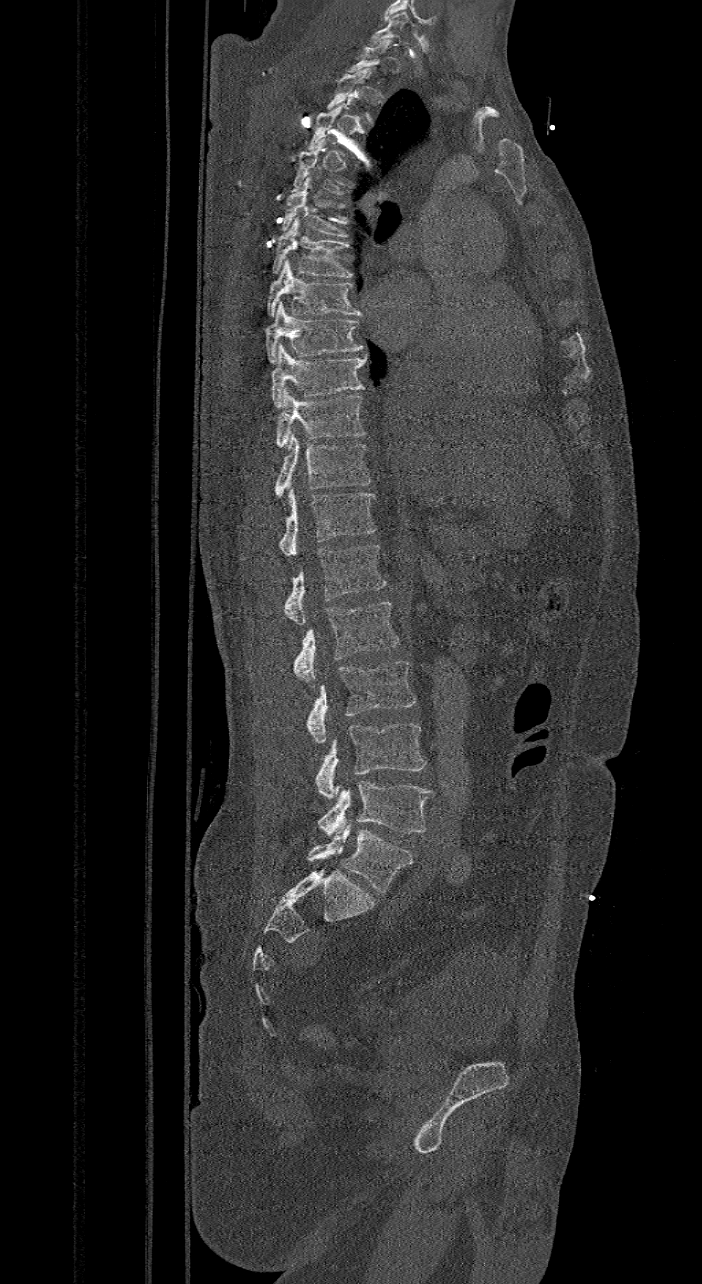 CT, spine — sagittal view — 421 mm wide
Boxes are given in columns x1, y1, x2, y2, the pixel coordinates of their top-left and bottom-right corners.
Each vertebra is boxed only on the slices from the first to the last where its cross-section reaches a third of its largest, so a slice outside that range leaves it unboxed.
The labels name a sixth lumbar vertebra for this spine: L6, after L5.
| vertebra | x1 | y1 | x2 | y2 |
|---|---|---|---|---|
| C7 | 367 | 11 | 409 | 46 |
| T4 | 289 | 138 | 344 | 194 |
| T5 | 281 | 177 | 348 | 237 |
| T6 | 271 | 217 | 354 | 277 |
| T7 | 266 | 259 | 362 | 317 |
| T8 | 264 | 302 | 362 | 363 |
| T9 | 270 | 343 | 365 | 406 |
| T10 | 275 | 389 | 365 | 447 |
| T11 | 273 | 432 | 370 | 496 |
| T12 | 278 | 485 | 376 | 557 |
| L1 | 284 | 545 | 385 | 624 |
| L2 | 293 | 600 | 399 | 687 |
| L3 | 307 | 661 | 416 | 742 |
| L4 | 315 | 723 | 427 | 799 |
| L5 | 317 | 781 | 432 | 835 |
| L6 | 307 | 823 | 413 | 893 |